Spine CT; sagittal view; W/L 1800/400 HU
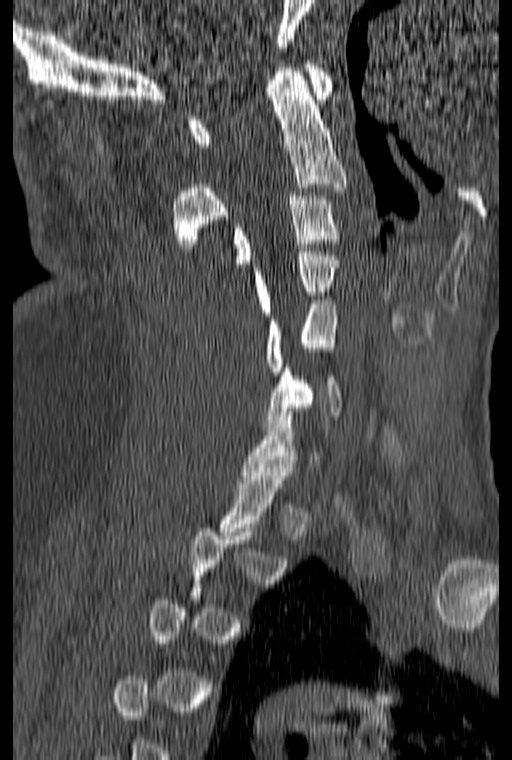 Boxes: x1:y1:x2:y2 in pixels.
A vertebra gets a box only on the slices from the first to the last where its cross-section is at least a third of its largest; on a slice outside that range it gets none.
C1: 189:60:334:147
C2: 172:68:346:247
C3: 234:192:341:267
C4: 254:248:339:315
C5: 267:300:337:375
C6: 266:364:342:427